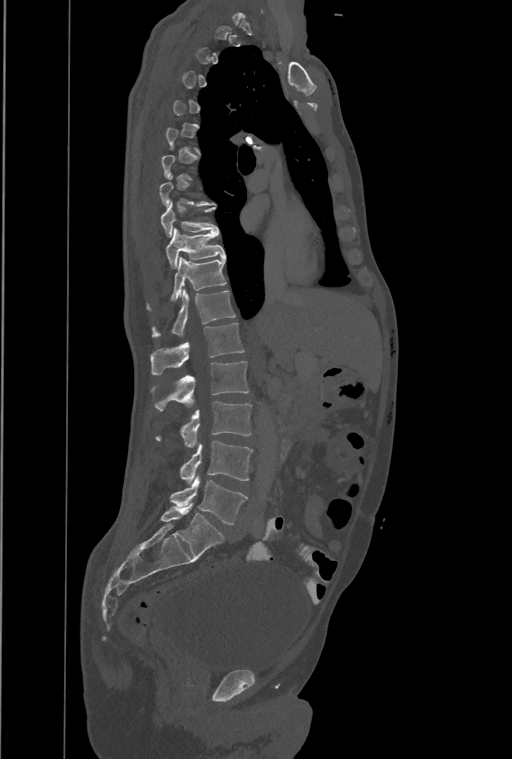

Computed tomography of the spine · sagittal view · Bone window (WL 400, WW 1800) · image width 461 mm · 512x759 px

Each box given as x1,y1,x2,y2.
A vertebra is boxed only from the first to the last slice where its cross-section is at least a third of its largest; slices outside that range leave it without a box.
In this scan, the topmost labeled vertebra is T1 and the lowest is L4.
The labels name an extra thoracic vertebra here, T13, which comes after T12 and before L1.
| vertebra | x1 | y1 | x2 | y2 |
|---|---|---|---|---|
| T9 | 161 | 200 | 217 | 236 |
| T10 | 166 | 228 | 225 | 268 |
| T11 | 171 | 257 | 226 | 300 |
| T12 | 153 | 289 | 235 | 336 |
| T13 | 151 | 322 | 244 | 375 |
| L1 | 151 | 361 | 248 | 410 |
| L2 | 155 | 401 | 252 | 447 |
| L3 | 179 | 441 | 252 | 484 |
| L4 | 170 | 477 | 247 | 525 |